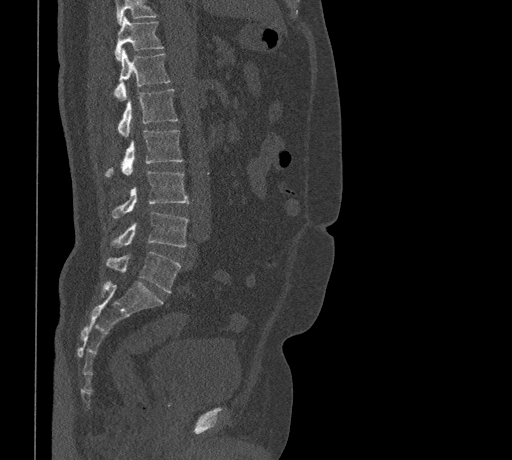
Computed tomography of the spine; 461 mm across the image; sagittal view

Boxes below are [x1, y1, x2, y2] in pixels.
Where the top of the scan cuts through a vertebra, that vertebra gets no label or box.
{"vertebrae":{"T11":[114,17,163,60],"T12":[113,48,170,100],"L1":[118,89,177,137],"L2":[105,130,182,176],"L3":[112,171,189,218],"L4":[111,212,188,247],"L5":[107,252,181,292]}}